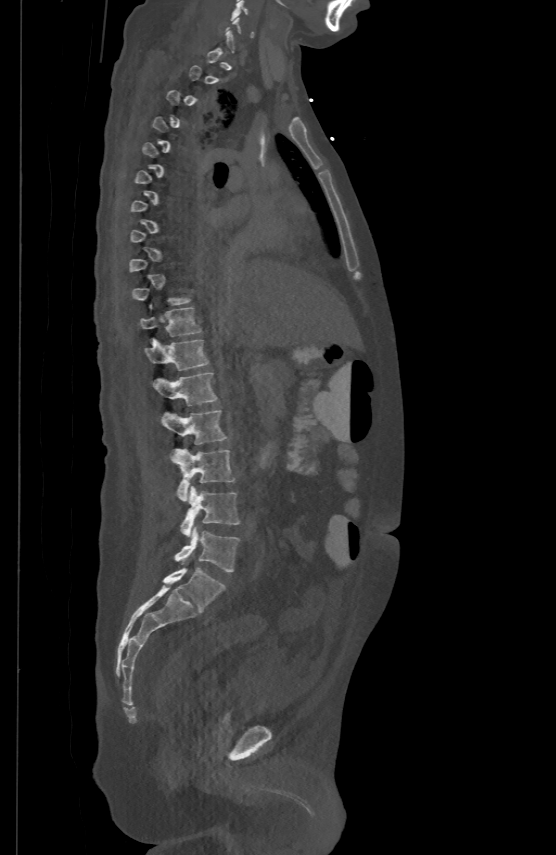 CT. the image spans 500 mm across. sagittal view. bone window
Boxes: x1:y1:x2:y2 in pixels.
Not every vertebra on this slice has a box: a vertebra is boxed only from the first to the last slice where its cross-section is at least a third of its largest, and this slice is outside that range for at least one of them.
L5: 175:527:239:572
L4: 180:486:239:536
L3: 173:448:234:501
L2: 161:409:228:444
L1: 152:372:218:404
T12: 144:337:210:369
T11: 140:306:201:335
C5: 230:0:247:20